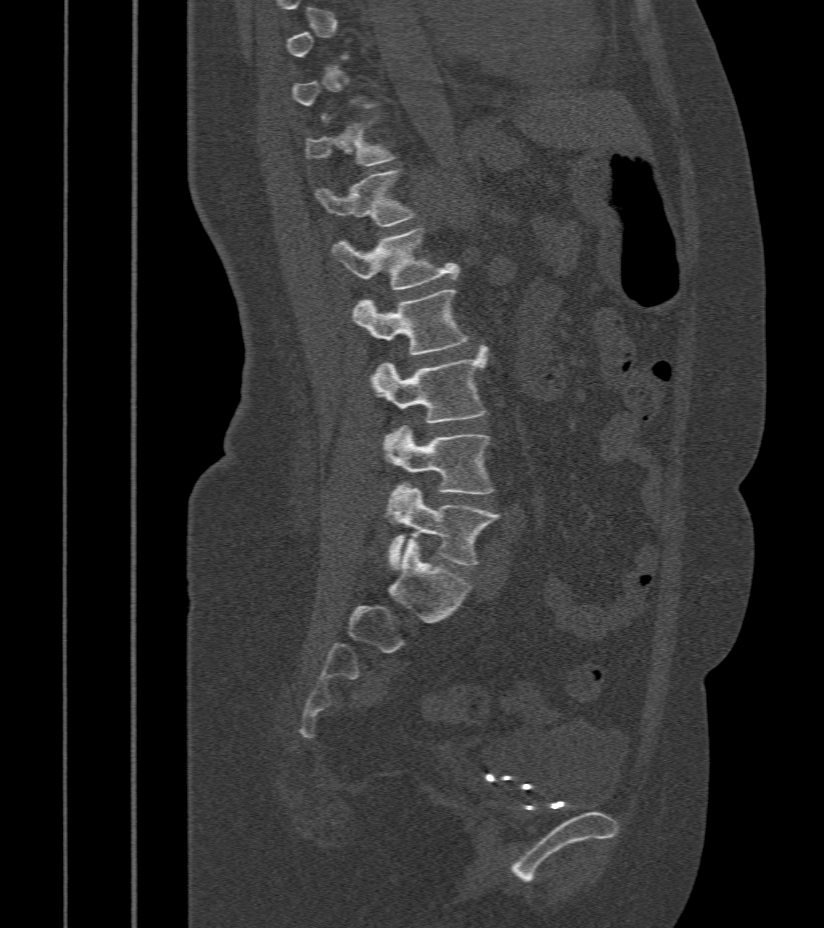

CT · sagittal view · bone-window reconstruction

Bounding boxes as [x1, y1, x2, y2] in pixel coordinates.
A vertebra gets a box only on the slices from the first to the last where its cross-section is at least a third of its largest; on a slice outside that range it gets none.
T12: [315, 171, 417, 228]
L1: [332, 229, 459, 290]
L2: [352, 289, 467, 354]
L3: [370, 347, 487, 438]
L4: [386, 425, 493, 494]
L5: [388, 485, 500, 566]